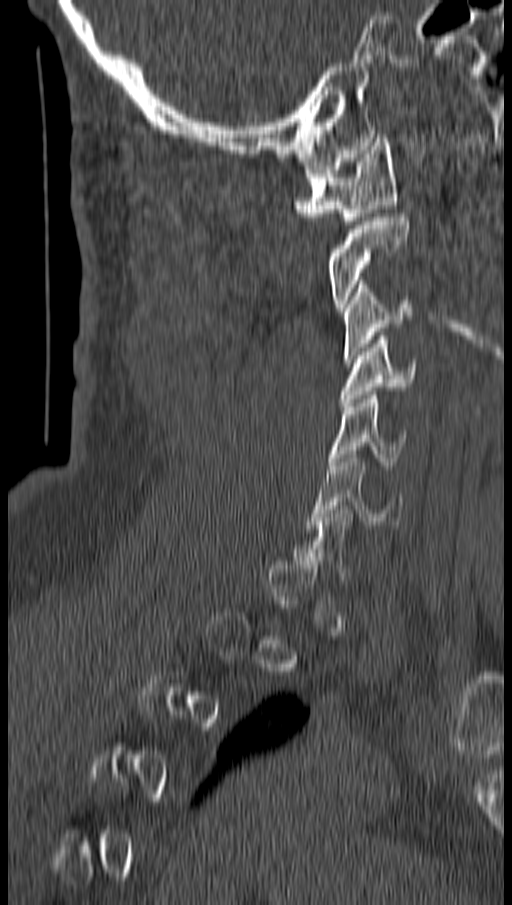
Spine computed tomography; sagittal view; Bone window (WL 400, WW 1800). Coordinates as <box>x1,y1,x2,y2</box>.
Not every vertebra on this slice has a box: a vertebra is boxed only from the first to the last slice where its cross-section is at least a third of its largest, and this slice is outside that range for at least one of them.
C1: <box>295,138,398,224</box>
C2: <box>327,217,408,311</box>
C3: <box>344,280,412,362</box>
C4: <box>339,336,417,406</box>
C5: <box>330,391,409,469</box>
C6: <box>308,454,403,528</box>